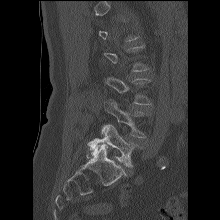

Computed tomography of the spine. sagittal view
Box values are [left, top, right, bottom] in pixels.
Each vertebra is boxed only on the slices from the first to the last where its cross-section reaches a third of its largest, so a slice outside that range leaves it unboxed.
{"vertebrae":{"L3":[105,76,151,104],"L4":[100,99,148,137],"L5":[86,125,139,167]}}